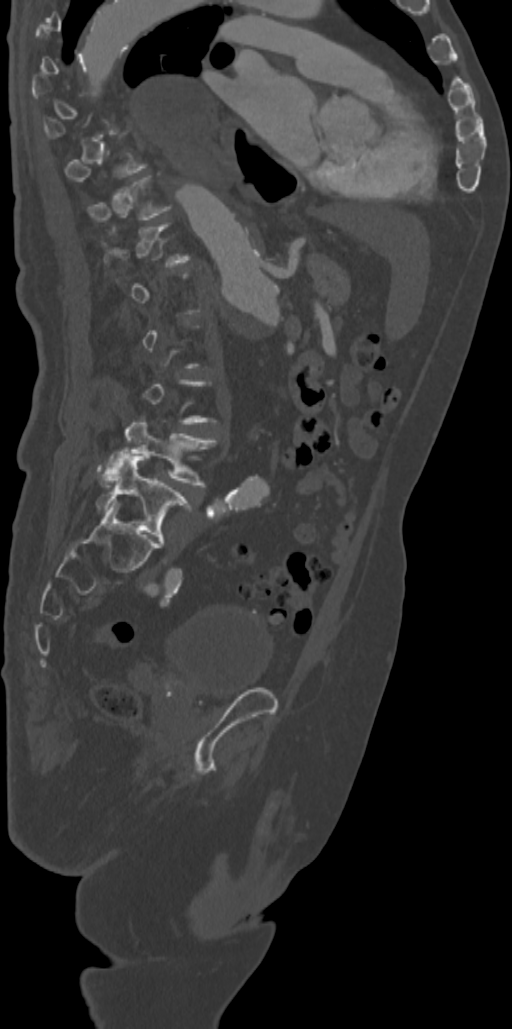

CT spine — sagittal reformat — 512x1029 px

Boxes: x1 y1 x2 y2 (pixel coords, space-separated). Each vertebra is boxed only on the slices from the first to the last where its cross-section reaches a third of its largest, so a slice outside that range leaves it unboxed. The labeled vertebrae in this slice are: T11 at 88 175 170 219, L4 at 99 418 216 486, L5 at 97 452 192 545.